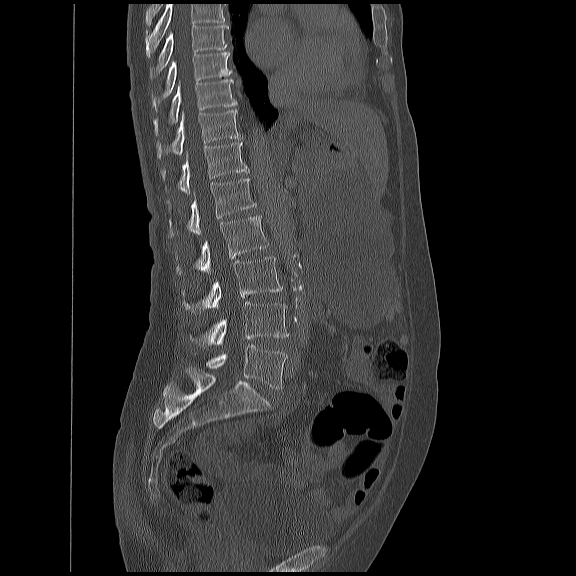
Computed tomography of the spine — sagittal view — 576x576 px — the image is 450 mm wide. Boxes: x1 y1 x2 y2 (pixel coords, space-separated).
Vertebrae that run past the top of the scan are left unlabeled.
T8: 149 24 228 77
T9: 149 51 230 110
T10: 152 78 235 134
T11: 156 107 239 157
T12: 161 140 247 193
L1: 167 176 256 237
L2: 175 215 267 274
L3: 182 255 282 313
L4: 189 302 289 345
L5: 204 345 286 388